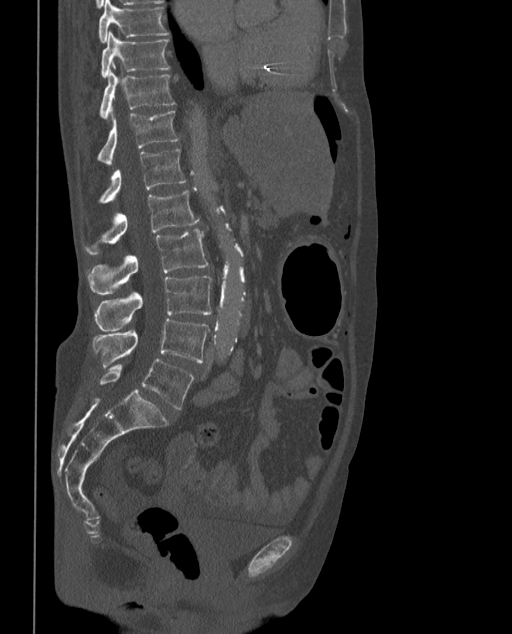 Spine computed tomography; sagittal reformat; W/L 1800/400 HU; image 373 mm wide
In the table, x1 and y1 are a box's top-left corner and x2 and y2 its bottom-right corner, in pixels.
The labels name a sixth lumbar vertebra for this spine: L6, after L5.
| vertebra | x1 | y1 | x2 | y2 |
|---|---|---|---|---|
| T9 | 99 | 0 | 169 | 42 |
| T10 | 101 | 31 | 169 | 78 |
| T11 | 100 | 70 | 175 | 120 |
| T12 | 97 | 111 | 179 | 165 |
| L1 | 99 | 149 | 185 | 203 |
| L2 | 84 | 190 | 199 | 253 |
| L3 | 88 | 229 | 207 | 294 |
| L4 | 95 | 275 | 212 | 331 |
| L5 | 92 | 319 | 209 | 370 |
| L6 | 100 | 359 | 194 | 409 |